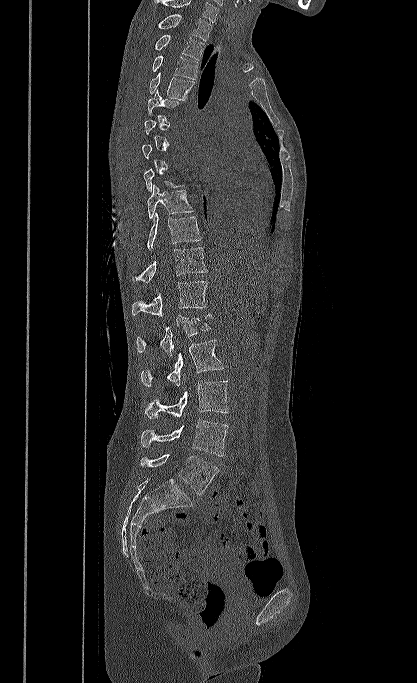
Spine computed tomography · sagittal view · bone-window reconstruction · the image is 417 mm wide
Each vertebra maps to its box as [x1, y1, x2, y2], the pixel coordinates of its top-left and bottom-right corners.
A vertebra gets a box only on the slices from the first to the last where its cross-section is at least a third of its largest; on a slice outside that range it gets none.
Labels in this scan begin with T1 at the top and end with L5 at the bottom.
{"vertebrae":{"T1":[157,14,211,41],"T2":[154,34,205,60],"T3":[152,56,197,79],"T4":[149,72,194,100],"T5":[148,89,182,116],"T9":[147,184,194,218],"T10":[147,212,201,250],"T11":[132,247,207,282],"T12":[132,281,207,317],"L1":[136,314,211,356],"L2":[141,339,224,387],"L3":[145,381,228,418],"L4":[141,419,228,456],"L5":[140,454,219,494]}}